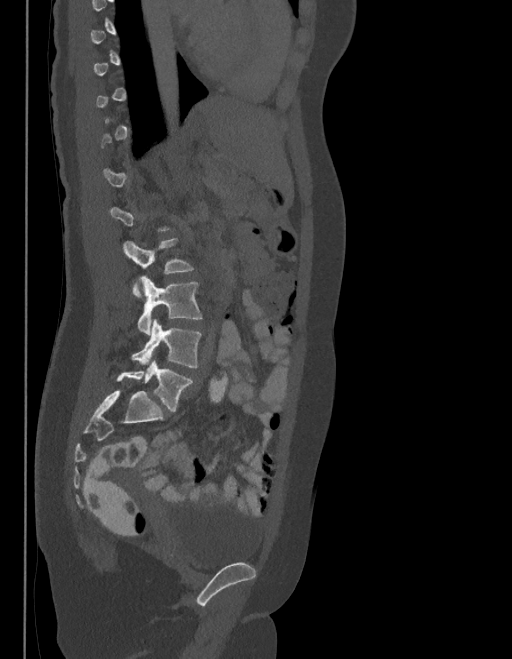

Computed tomography of the spine; sagittal view; bone-window reconstruction; 512x659 px
A vertebra gets a box only on the slices from the first to the last where its cross-section is at least a third of its largest; on a slice outside that range it gets none.
The labels name a sixth lumbar vertebra for this spine: L6, after L5.
<vertebrae><v name="L3" x1="123" y1="238" x2="193" y2="299"/><v name="L4" x1="137" y1="277" x2="202" y2="334"/><v name="L5" x1="131" y1="321" x2="201" y2="368"/><v name="L6" x1="117" y1="361" x2="192" y2="412"/></vertebrae>